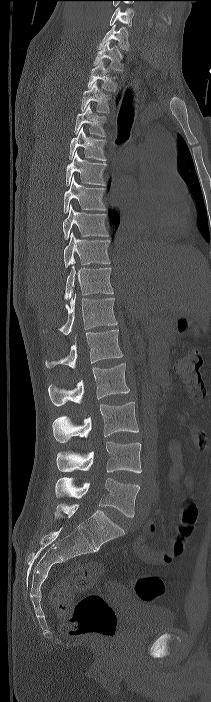
CT — 211 mm across the image — sagittal view
Columns x1, y1, x2, y2 give each box's top-left and bottom-right pixels.
Labels in this scan begin with C7 at the top and end with L4 at the bottom.
| vertebra | x1 | y1 | x2 | y2 |
|---|---|---|---|---|
| C7 | 98 | 24 | 129 | 50 |
| T1 | 93 | 41 | 123 | 70 |
| T2 | 88 | 61 | 116 | 91 |
| T3 | 81 | 81 | 111 | 112 |
| T4 | 74 | 104 | 107 | 136 |
| T5 | 69 | 127 | 107 | 160 |
| T6 | 65 | 151 | 107 | 186 |
| T7 | 64 | 174 | 106 | 213 |
| T8 | 63 | 205 | 108 | 239 |
| T9 | 64 | 231 | 110 | 267 |
| T10 | 64 | 266 | 113 | 300 |
| T11 | 57 | 293 | 117 | 335 |
| T12 | 45 | 329 | 122 | 368 |
| L1 | 48 | 363 | 129 | 406 |
| L2 | 52 | 402 | 138 | 442 |
| L3 | 56 | 441 | 141 | 473 |
| L4 | 55 | 477 | 139 | 517 |